CT, spine; sagittal view; 154 mm across the image
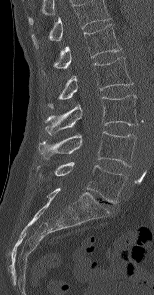

Boxes are (x1, y1, x2, y2) in pixels.
This scan's labels start at L1 at the top and end at L5 at the bottom.
L1: (42, 24, 121, 73)
L2: (48, 57, 132, 107)
L3: (44, 95, 137, 134)
L4: (39, 131, 136, 166)
L5: (37, 162, 127, 203)